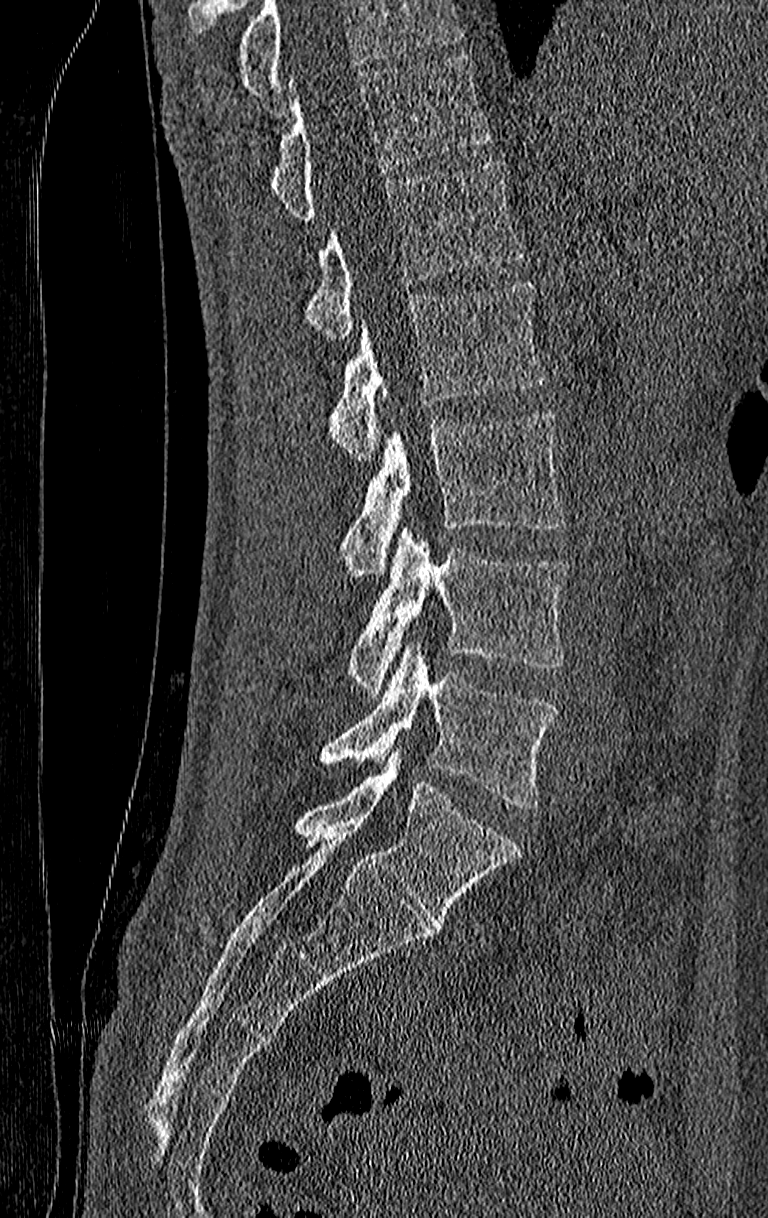

Computed tomography of the spine. image width 210 mm. sagittal view. 768x1218 px
Bounding boxes as [x1, y1, x2, y2] in pixel coordinates.
No box is given to a vertebra that the top edge of the scan cuts off.
This scan's labels start at T11 at the top and end at L4 at the bottom.
T11: [269, 56, 491, 220]
T12: [306, 161, 524, 340]
L1: [328, 283, 546, 461]
L2: [339, 415, 565, 578]
L3: [346, 528, 568, 695]
L4: [320, 640, 557, 809]